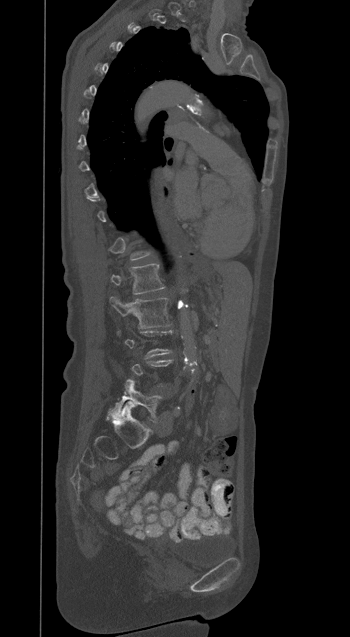

CT, spine; sagittal view; 350x637 px. Boxes: x1 y1 x2 y2 (pixel coords, space-separated). Each vertebra is boxed only on the slices from the first to the last where its cross-section reaches a third of its largest, so a slice outside that range leaves it unboxed. Vertebrae labeled: L5 at 109 379 162 422, L2 at 110 296 170 328, L1 at 111 264 164 294.